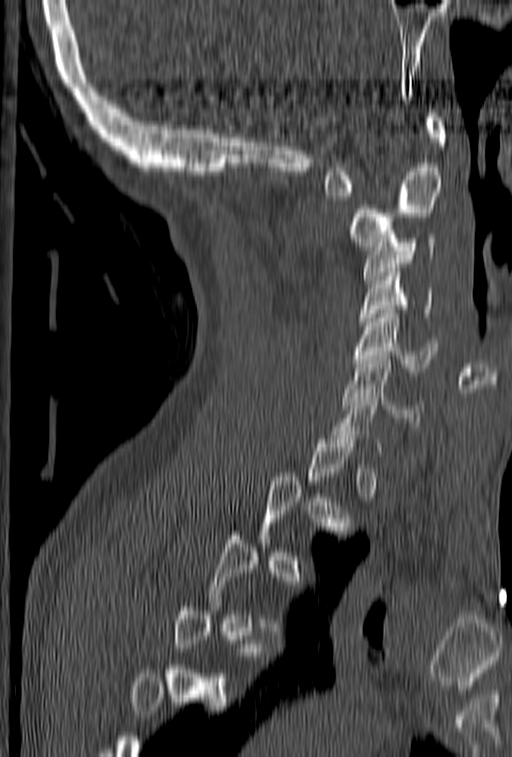
Spine computed tomography · sagittal view · 512x757 px

Bounding boxes as [x1, y1, x2, y2] in pixel coordinates.
Each vertebra is boxed only on the slices from the first to the last where its cross-section reaches a third of its largest, so a slice outside that range leaves it unboxed.
Vertebra bounding boxes:
- C7: [325, 389, 382, 451]
- C6: [343, 356, 423, 421]
- C5: [353, 305, 438, 371]
- C4: [359, 264, 432, 329]
- C3: [363, 234, 436, 283]
- C2: [349, 163, 442, 250]
- C1: [322, 109, 445, 196]